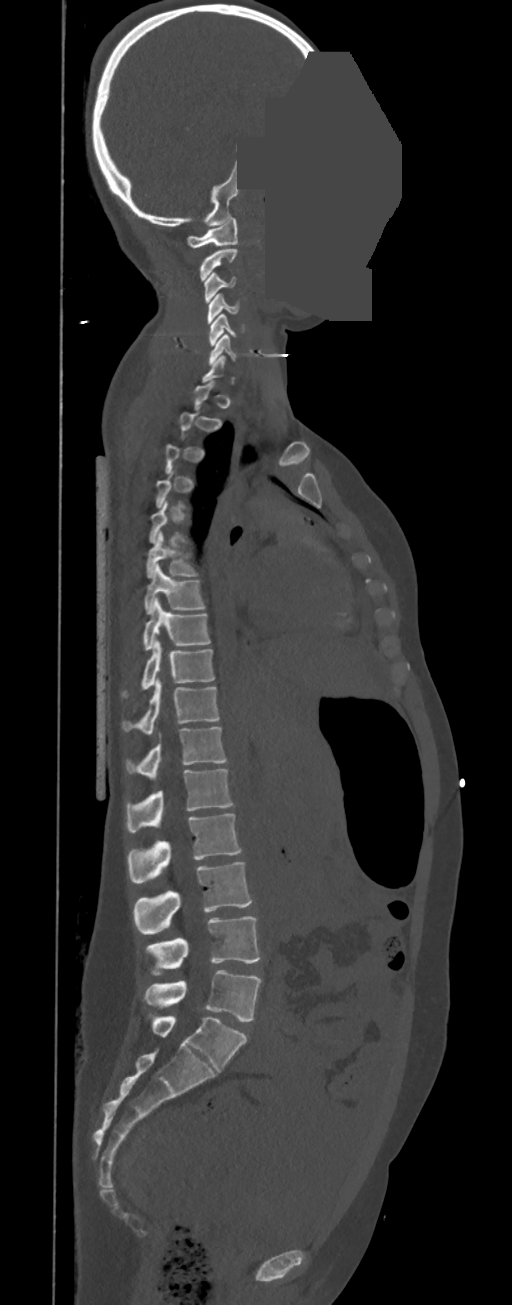 CT, spine; sagittal view; 512x1305 px; a region of this slice is masked with a uniform fill
Boxes: x1:y1:x2:y2 in pixels. A vertebra is boxed only from the first to the last slice where its cross-section is at least a third of its largest; slices outside that range leave it without a box. In these labels the thoracic vertebrae end at T11, so L1 follows T11. Vertebrae labeled: L5 at 143:970:261:1022, L4 at 145:916:259:975, L3 at 133:862:252:934, L2 at 127:814:242:882, L1 at 127:769:233:832, T11 at 126:727:227:780, T10 at 123:677:218:734, T9 at 122:641:214:695, T8 at 143:598:209:649, T7 at 145:565:205:614, T6 at 146:532:196:577, C6 at 209:334:237:365, C5 at 209:313:245:345, C4 at 207:294:239:323, C3 at 204:273:236:302, C2 at 200:249:237:281, C1 at 187:217:237:247.